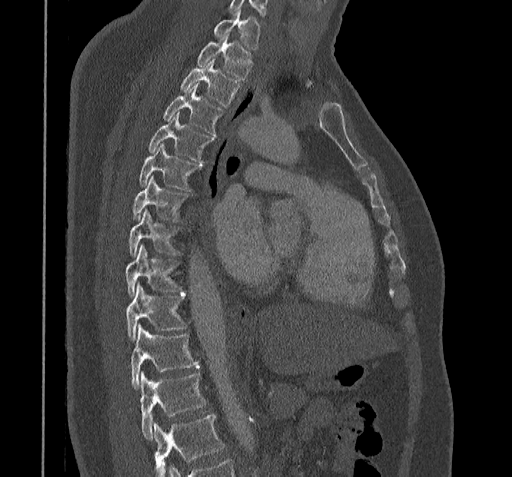
CT · sagittal view · 512x477 px
Bounding boxes as [x1, y1, x2, y2] in pixel coordinates. Vertebrae that run past the bottom of the scan are left unlabeled. The labeled vertebrae in this slice are: T11 at [141, 372, 205, 438], T10 at [132, 325, 199, 388], T9 at [125, 285, 185, 341], T8 at [125, 245, 183, 295], T7 at [128, 209, 178, 257], T6 at [133, 176, 186, 219], T5 at [139, 145, 202, 189], T4 at [149, 113, 212, 162], T3 at [163, 84, 221, 135], T2 at [181, 59, 240, 106], T1 at [197, 34, 251, 79], C7 at [214, 9, 259, 49].